Spine CT. sagittal view. bone window
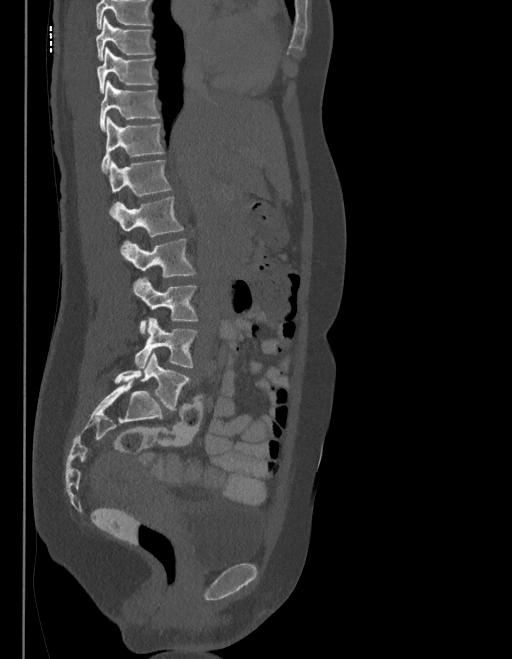
Each box given as x1,y1,x2,y2.
Where the top of the scan cuts through a vertebra, that vertebra gets no label or box.
In these labels the spine has an L6, a sixth lumbar vertebra below L5.
T9: x1=96, y1=17, x2=153, y2=60
T10: x1=96, y1=48, x2=154, y2=93
T11: x1=100, y1=81, x2=159, y2=130
T12: x1=102, y1=117, x2=163, y2=172
L1: x1=108, y1=159, x2=170, y2=196
L2: x1=110, y1=197, x2=182, y2=236
L3: x1=121, y1=238, x2=195, y2=277
L4: x1=133, y1=278, x2=197, y2=333
L5: x1=135, y1=318, x2=196, y2=368
L6: x1=114, y1=352, x2=188, y2=409